CT spine; sagittal view
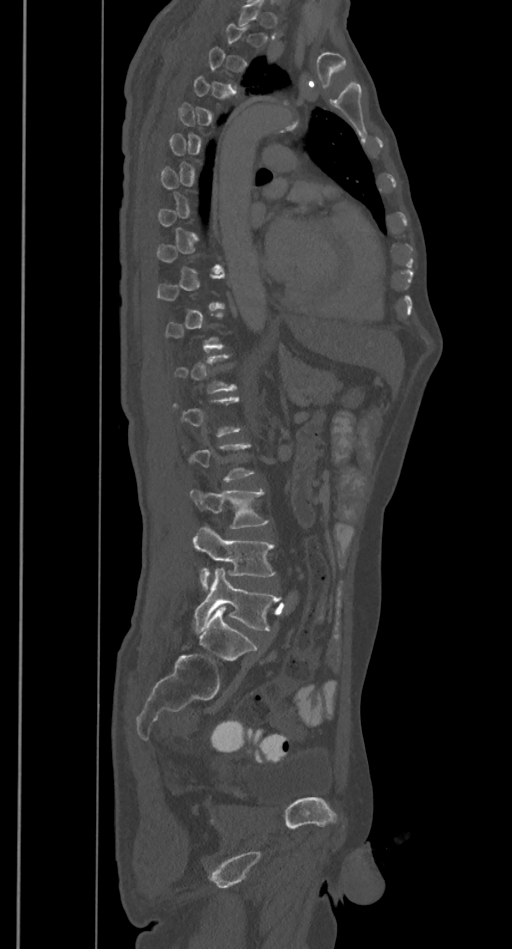
Boxes are given in columns x1, y1, x2, y2, the pixel coordinates of their top-left and bottom-right corners.
A vertebra is boxed only from the first to the last slice where its cross-section is at least a third of its largest; slices outside that range leave it without a box.
| vertebra | x1 | y1 | x2 | y2 |
|---|---|---|---|---|
| L5 | 194 | 567 | 279 | 630 |
| L4 | 193 | 527 | 274 | 589 |
| L3 | 190 | 490 | 267 | 528 |